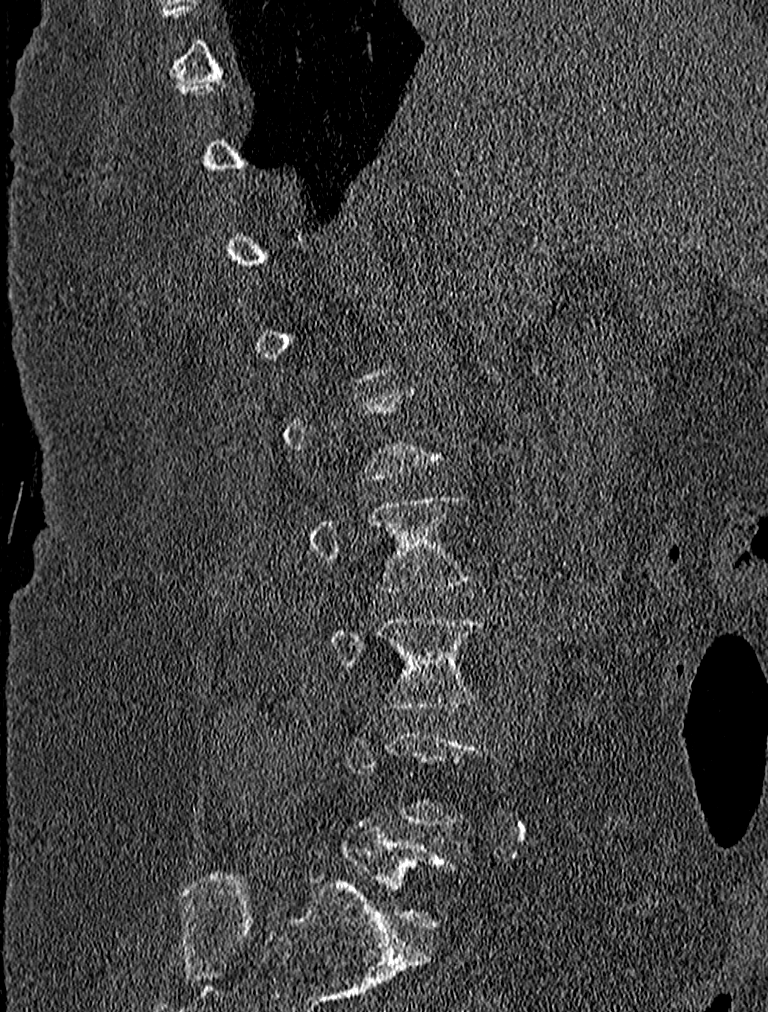 CT; sagittal view; bone-window reconstruction; 768x1012 px; the image is 227 mm wide

Each row gives a vertebra's box as x1, y1, x2, y2 in pixels: top-left corner, then bottom-right corner.
A vertebra is boxed only from the first to the last slice where its cross-section is at least a third of its largest; slices outside that range leave it without a box.
| vertebra | x1 | y1 | x2 | y2 |
|---|---|---|---|---|
| L2 | 310 | 495 | 471 | 593 |
| L3 | 327 | 615 | 488 | 708 |
| L5 | 341 | 821 | 455 | 928 |